CT spine; sagittal view; W/L 1800/400 HU; 512x263 px; scan covers 10 annotated vertebrae
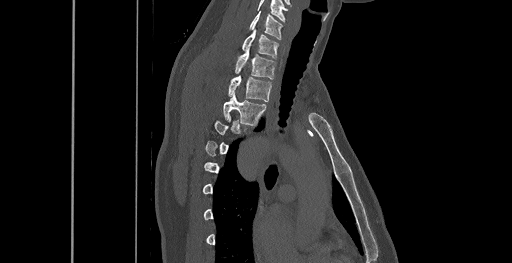 Box edges are left/top/right/bottom in pixels. Each vertebra is boxed only on the slices from the first to the last where its cross-section reaches a third of its largest, so a slice outside that range leaves it unboxed. Vertebrae labeled: T3 at left=223, top=94, right=266, bottom=124, T2 at left=228, top=75, right=271, bottom=101, T1 at left=235, top=49, right=275, bottom=79, C7 at left=242, top=30, right=278, bottom=58, C6 at left=250, top=11, right=282, bottom=39.